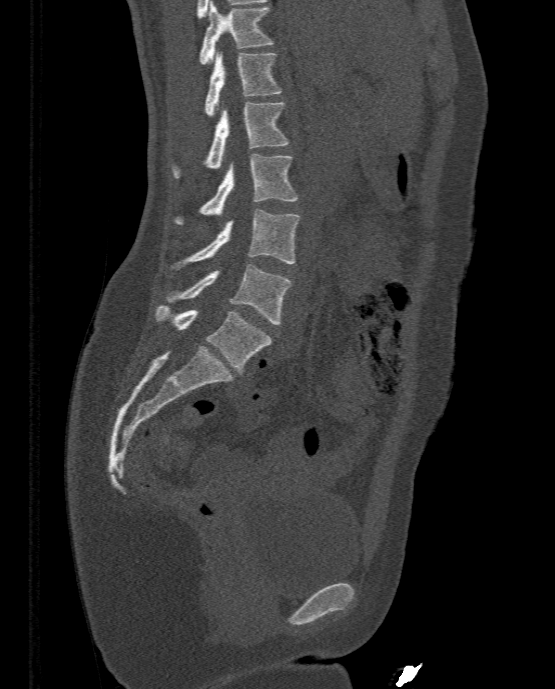 Spine CT · sagittal view · bone-window reconstruction
Each box given as x1,y1,x2,y2.
L5: x1=155, y1=305, x2=272, y2=373
L4: x1=166, y1=263, x2=292, y2=324
L3: x1=170, y1=210, x2=300, y2=268
L2: x1=173, y1=154, x2=297, y2=224
L1: x1=173, y1=102, x2=288, y2=177
T12: x1=205, y1=52, x2=282, y2=116
T11: x1=199, y1=1, x2=273, y2=63